CT spine · sagittal reformat · bone window · 399 mm across the image · 8 vertebrae labeled in this scan
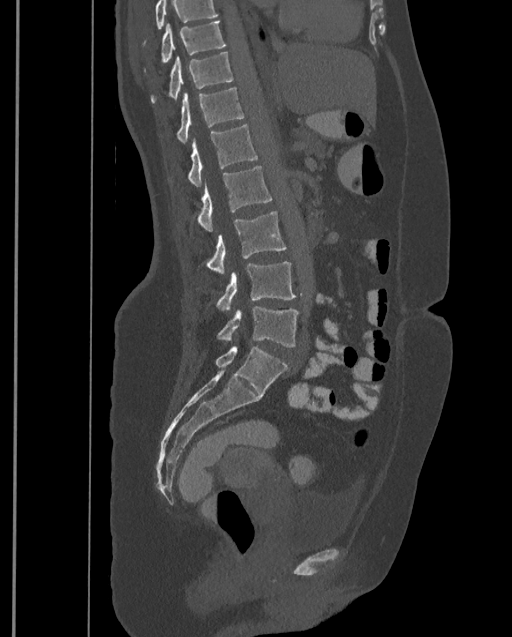

Boxes: x1 y1 x2 y2 (pixel coords, space-separated).
Where the top of the scan cuts through a vertebra, that vertebra gets no label or box.
In this scan, the topmost labeled vertebra is T9 and the lowest is L4.
Vertebra bounding boxes:
- T9: 143 21 226 72
- T10: 151 51 232 103
- T11: 177 87 244 143
- T12: 188 125 257 186
- L1: 197 165 272 231
- L2: 208 211 286 274
- L3: 216 262 295 311
- L4: 218 306 298 347